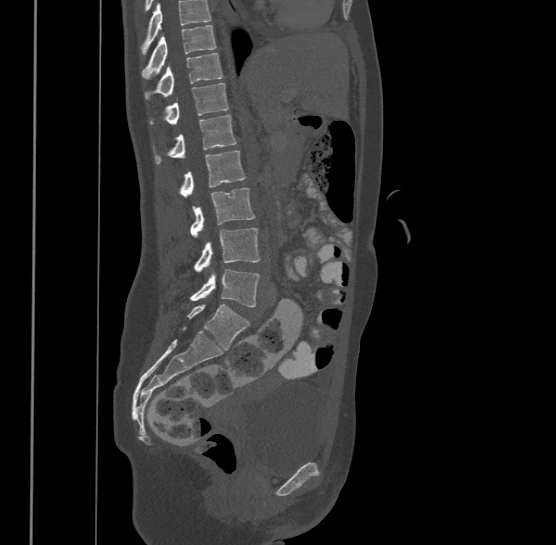 Spine CT; sagittal view; bone window; the image spans 500 mm across
Boxes below are [x1, y1, x2, y2] in pixels.
A vertebra cut off by the top edge of the scan is not labeled and has no box.
The highest labeled vertebra in this scan is T9; the lowest is L4.
{"vertebrae":{"L4":[190,268,261,306],"L3":[194,227,261,272],"L2":[190,188,255,236],"L1":[179,150,245,196],"T12":[153,114,236,163],"T11":[150,82,229,123],"T10":[144,52,223,99],"T9":[141,25,216,77]}}